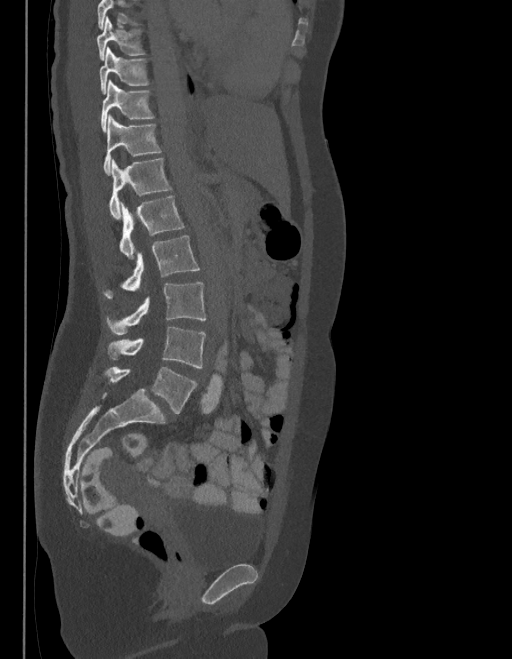 Spine CT · sagittal reformat · W/L 1800/400 HU · 512x659 px
Boxes are (x1, y1, x2, y2) in pixels. No box is given to a vertebra that the top edge of the scan cuts off. The labels name a sixth lumbar vertebra for this spine: L6, after L5. The labeled vertebrae in this slice are: T9 at (96, 17, 145, 60), T10 at (99, 48, 149, 94), T11 at (100, 79, 154, 130), T12 at (103, 115, 161, 174), L1 at (109, 158, 170, 219), L2 at (119, 197, 183, 259), L3 at (103, 236, 200, 299), L4 at (107, 282, 206, 335), L5 at (108, 327, 205, 368), L6 at (104, 367, 197, 414).